Computed tomography of the spine — sagittal view — 616x616 px
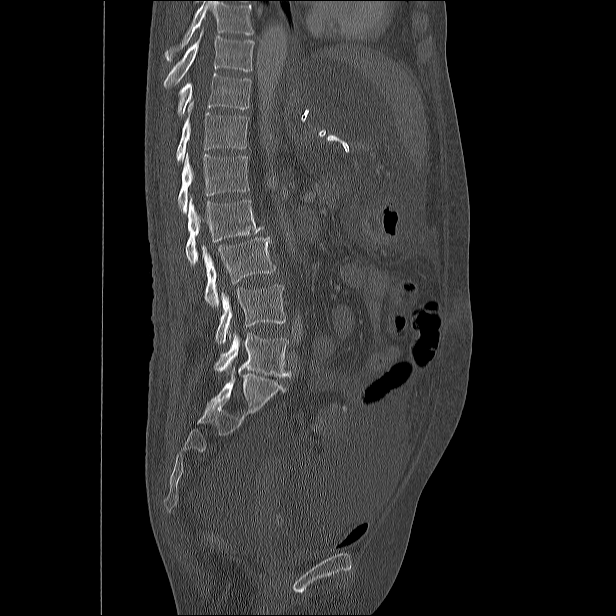
Each box is [x1, y1, x2, y2] in pixels: top-left corner, then bottom-right corner.
No box is given to a vertebra that the top edge of the scan cuts off.
{"vertebrae":{"L5":[213,332,291,376],"L4":[215,285,285,344],"L3":[202,236,275,306],"L2":[185,195,263,265],"L1":[178,152,249,213],"T12":[176,102,248,161],"T11":[178,73,251,116],"T10":[163,29,253,88]}}